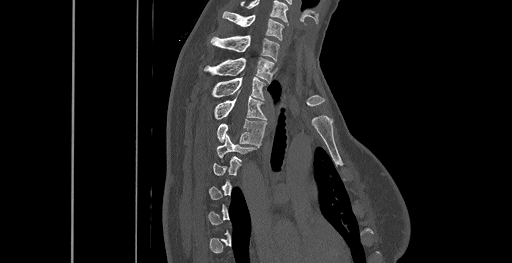

CT, spine. sagittal view. 512x263 px. Box edges are left/top/right/bottom in pixels.
Each vertebra is boxed only on the slices from the first to the last where its cross-section reaches a third of its largest, so a slice outside that range leaves it unboxed.
In this scan, the topmost labeled vertebra is C6 and the lowest is T8.
T4: left=217, top=120, right=266, bottom=144
T3: left=215, top=96, right=266, bottom=120
T2: left=213, top=76, right=265, bottom=100
T1: left=205, top=57, right=274, bottom=81
C7: left=211, top=35, right=280, bottom=60
C6: left=223, top=12, right=284, bottom=40